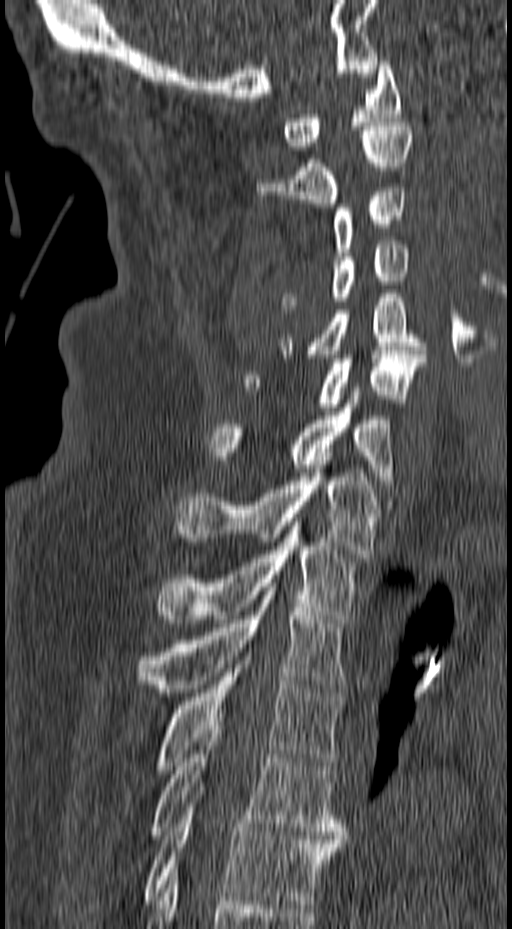
Computed tomography of the spine — sagittal view — 512x929 px
Box edges are left/top/right/bottom in pixels. The labeled vertebrae in this slice are: T6 at left=143, top=787, right=343, bottom=904, T5 at left=149, top=726, right=346, bottom=839, T4 at left=158, top=656, right=343, bottom=769, T3 at left=135, top=583, right=346, bottom=692, T2 at left=161, top=518, right=359, bottom=623, T1 at left=174, top=461, right=380, bottom=557, C7 at left=207, top=387, right=395, bottom=484, C6 at left=244, top=351, right=426, bottom=411, C5 at left=278, top=294, right=427, bottom=358, C4 at left=280, top=241, right=409, bottom=309, C3 at left=331, top=188, right=405, bottom=256, C2 at left=256, top=122, right=413, bottom=207, C1 at left=282, top=57, right=401, bottom=150.